Spine computed tomography; image width 190 mm; sagittal reformat
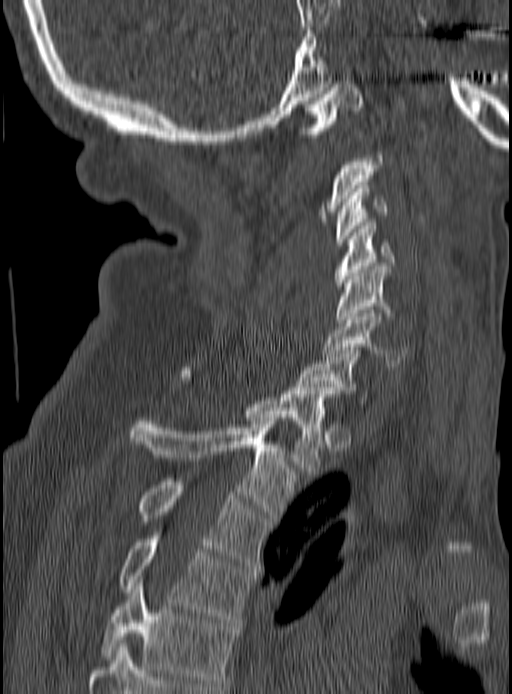
Boxes: x1:y1:x2:y2 in pixels. Not every vertebra on this slice has a box: a vertebra is boxed only from the first to the last slice where its cross-section is at least a third of its largest, and this slice is outside that range for at least one of them. Vertebrae labeled: C1 at 298:84:364:134, C3 at 335:185:388:245, C4 at 335:222:394:289, C5 at 337:266:391:322, C6 at 321:310:407:370, C7 at 297:350:368:403, T1 at 180:367:334:471, T2 at 128:418:294:518, T3 at 138:478:269:565, T4 at 119:536:256:622, T5 at 103:579:237:686.